Computed tomography of the spine. sagittal plane, index 179. bone window. scan covers 9 annotated vertebrae. part of the scan has been removed (filled with constant black)
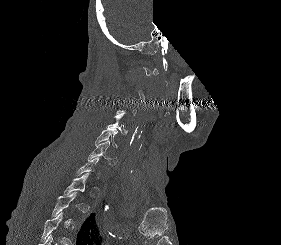 Boxes: x1 y1 x2 y2 (pixel coords, space-separated).
A vertebra is boxed only from the first to the last slice where its cross-section is at least a third of its largest; slices outside that range leave it without a box.
Vertebra bounding boxes:
- C6: 87 140 117 165
- C5: 94 130 118 147
- C4: 106 112 127 134